Spine CT; Sagittal slice 275/512; scan covers 8 annotated vertebrae
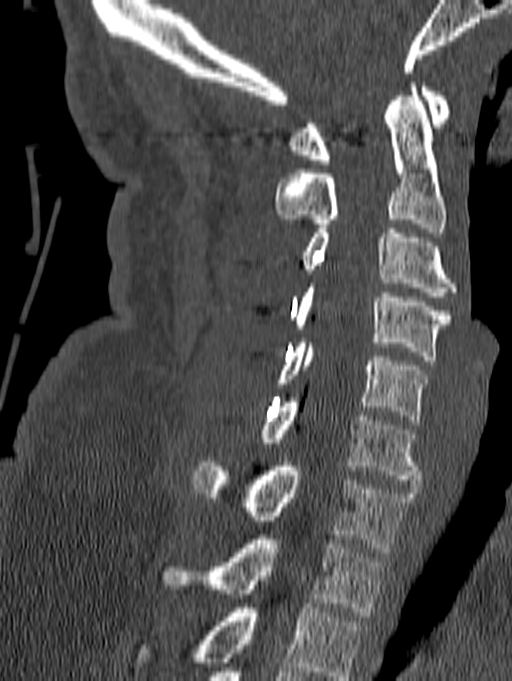
Boxes: x1 y1 x2 y2 (pixel coords, space-separated).
Labels in this scan begin with C1 at the top and end with T1 at the bottom.
C1: 289 82 451 164
C2: 274 82 447 232
C3: 302 229 456 296
C4: 294 283 450 360
C5: 276 338 428 424
C6: 261 398 421 484
C7: 192 462 414 552
T1: 160 535 385 616